CT, spine — 162 mm across the image — sagittal reformat — bone-window reconstruction — scan covers 6 annotated vertebrae
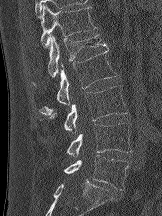

Boxes: x1 y1 x2 y2 (pixel coords, space-separated).
Vertebra bounding boxes:
- T12: 38 5 96 48
- L1: 47 34 108 77
- L2: 39 50 117 115
- L3: 50 85 128 131
- L4: 66 123 132 156
- L5: 64 155 128 190